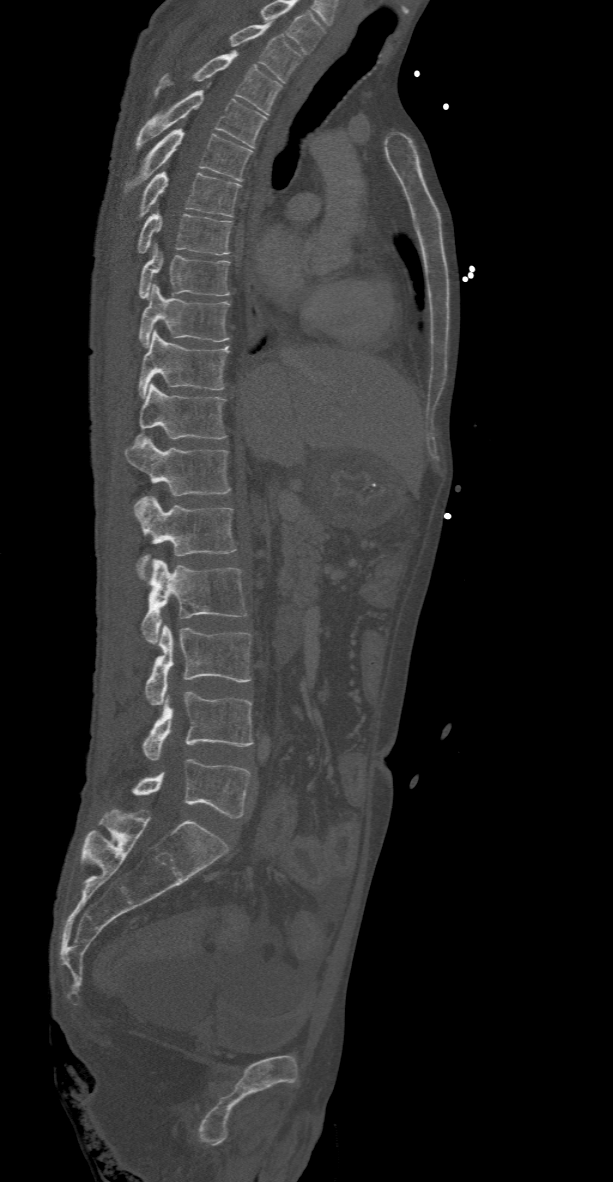
CT; sagittal view

In this scan, the topmost labeled vertebra is T2 and the lowest is L5.
<vertebrae><v name="T2" x1="228" y1="22" x2="302" y2="83"/><v name="T3" x1="155" y1="51" x2="282" y2="113"/><v name="T4" x1="134" y1="91" x2="267" y2="150"/><v name="T5" x1="125" y1="129" x2="252" y2="191"/><v name="T6" x1="138" y1="171" x2="241" y2="216"/><v name="T7" x1="137" y1="211" x2="233" y2="255"/><v name="T8" x1="138" y1="244" x2="230" y2="298"/><v name="T9" x1="138" y1="284" x2="230" y2="347"/><v name="T10" x1="138" y1="329" x2="229" y2="397"/><v name="T11" x1="134" y1="382" x2="227" y2="440"/><v name="T12" x1="125" y1="436" x2="230" y2="495"/><v name="L1" x1="133" y1="496" x2="235" y2="580"/><v name="L2" x1="141" y1="559" x2="247" y2="643"/><v name="L3" x1="145" y1="624" x2="251" y2="705"/><v name="L4" x1="143" y1="692" x2="252" y2="760"/><v name="L5" x1="132" y1="759" x2="251" y2="818"/></vertebrae>